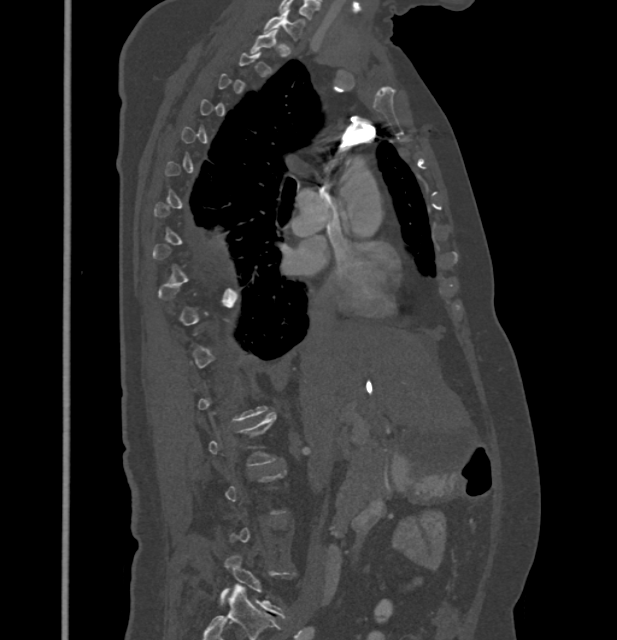
Spine CT · sagittal view · W/L 1800/400 HU · 432 mm wide
Each vertebra is boxed only on the slices from the first to the last where its cross-section reaches a third of its largest, so a slice outside that range leaves it unboxed.
<vertebrae><v name="C7" x1="264" y1="10" x2="303" y2="39"/><v name="L5" x1="219" y1="555" x2="287" y2="618"/></vertebrae>